Computed tomography of the spine · sagittal plane, index 328 · bone-window reconstruction · 768x1218 px · the image is 210 mm wide
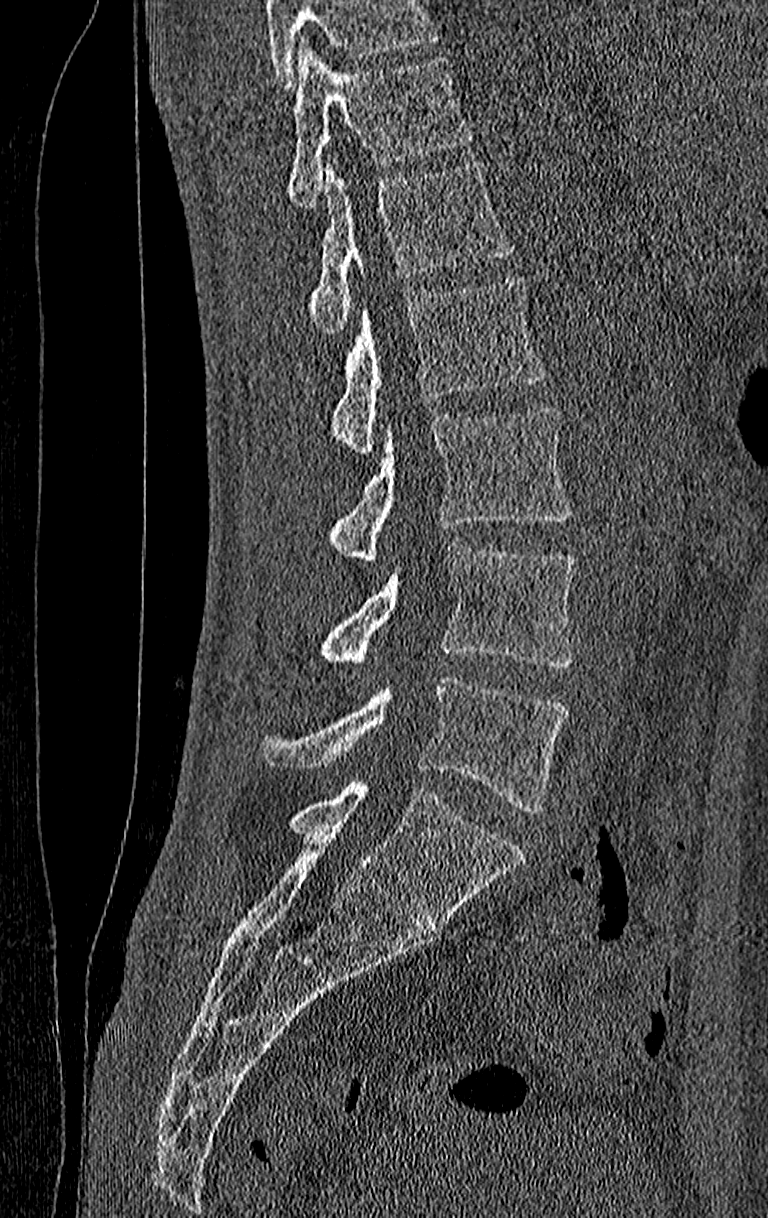

Boxes below are [x1, y1, x2, y2] in pixels.
A vertebra cut off by the top edge of the scan is not labeled and has no box.
The highest labeled vertebra in this scan is T11; the lowest is L4.
{"vertebrae":{"T11":[288,41,473,208],"T12":[310,161,513,333],"L1":[331,275,546,453],"L2":[328,406,572,563],"L3":[317,546,575,669],"L4":[258,678,568,812]}}